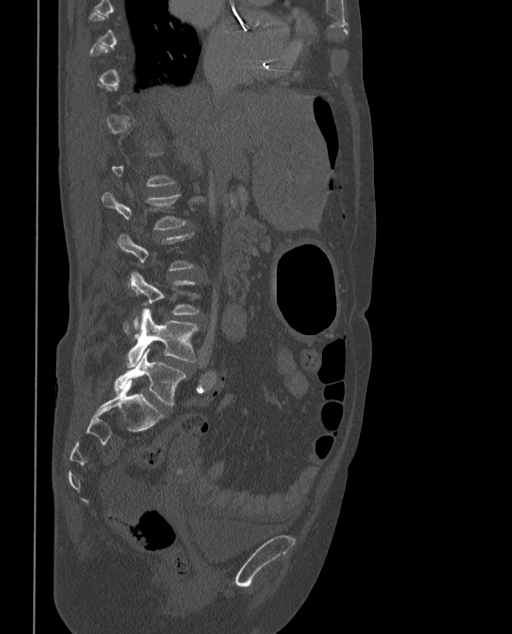 CT, spine — sagittal reformat — bone window — 512x634 px
Boxes below are [x1, y1, x2, y2] in pixels.
A vertebra gets a box only on the slices from the first to the last where its cross-section is at least a third of its largest; on a slice outside that range it gets none.
These labels give the spine a sixth lumbar vertebra, L6, below L5.
{"vertebrae":{"L6":[114,348,185,405],"L5":[125,308,198,367],"L2":[101,191,185,229]}}